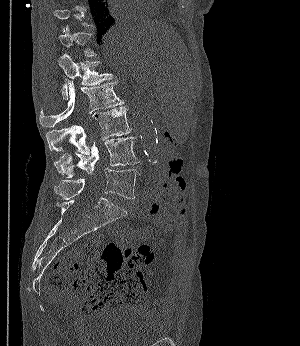 CT · sagittal view · W/L 1800/400 HU
Boxes are (x1, y1, x2, y2) in pixels.
Not every vertebra on this slice has a box: a vertebra is boxed only from the first to the last slice where its cross-section is at least a third of its largest, and this slice is outside that range for at least one of them.
Vertebra bounding boxes:
- T12: (58, 24, 96, 56)
- L1: (58, 54, 112, 99)
- L2: (39, 80, 123, 127)
- L3: (46, 106, 131, 154)
- L4: (54, 137, 139, 177)
- L5: (54, 168, 139, 199)